Spine computed tomography. sagittal reformat. W/L 1800/400 HU
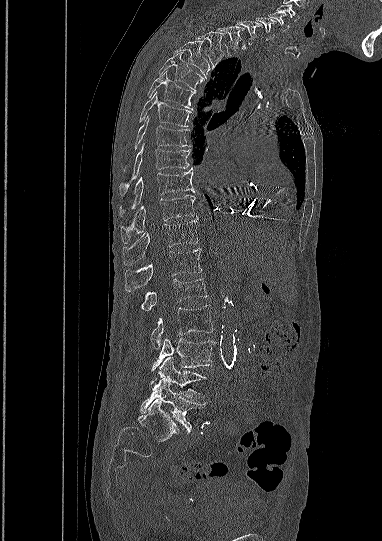
Boxes are (x1, y1, x2, y2) in pixels. In this scan, the topmost labeled vertebra is C5 and the lowest is L5. The labeled vertebrae in this slice are: L5 at (140, 378, 205, 431), L4 at (159, 357, 205, 400), L3 at (151, 338, 214, 372), L2 at (150, 305, 213, 348), L1 at (142, 278, 207, 310), T12 at (124, 248, 201, 291), T11 at (123, 220, 198, 265), T10 at (121, 195, 194, 243), T9 at (120, 168, 194, 216), T8 at (120, 142, 189, 194), T7 at (124, 115, 189, 171), T6 at (140, 91, 192, 126), T5 at (148, 71, 195, 110), T4 at (159, 55, 203, 91), T3 at (174, 42, 209, 78), T2 at (195, 32, 223, 68), T1 at (216, 25, 245, 56), C7 at (237, 21, 262, 44), C6 at (256, 17, 276, 40), C5 at (267, 12, 289, 32).